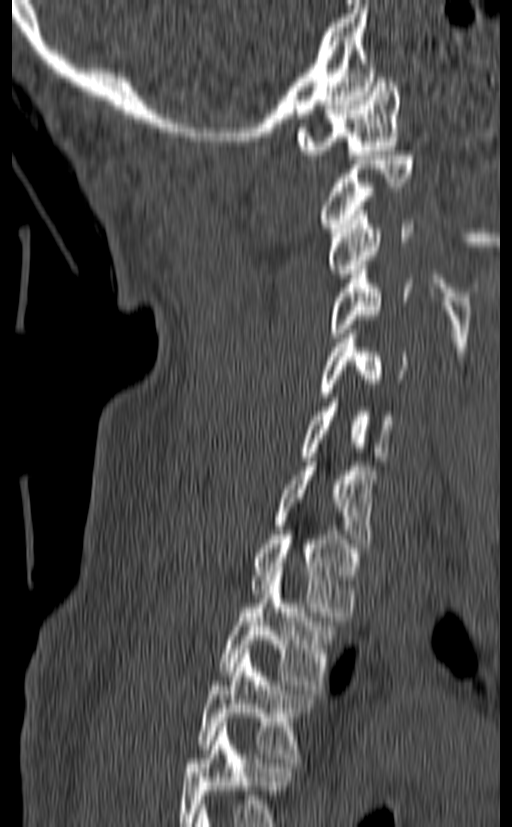
CT. sagittal reformat. 512x827 px. image 140 mm wide

Each vertebra maps to its box as [x1, y1, x2, y2], the pixel coordinates of its top-left and bottom-right corners.
The highest labeled vertebra in this scan is C1; the lowest is T3.
{"vertebrae":{"C1":[297,73,400,159],"C2":[320,151,414,232],"C3":[327,206,414,273],"C4":[327,265,412,337],"C5":[320,334,410,397],"C6":[298,398,395,461],"C7":[275,457,377,548],"T1":[250,530,359,616],"T2":[217,571,337,689],"T3":[197,649,315,762]}}